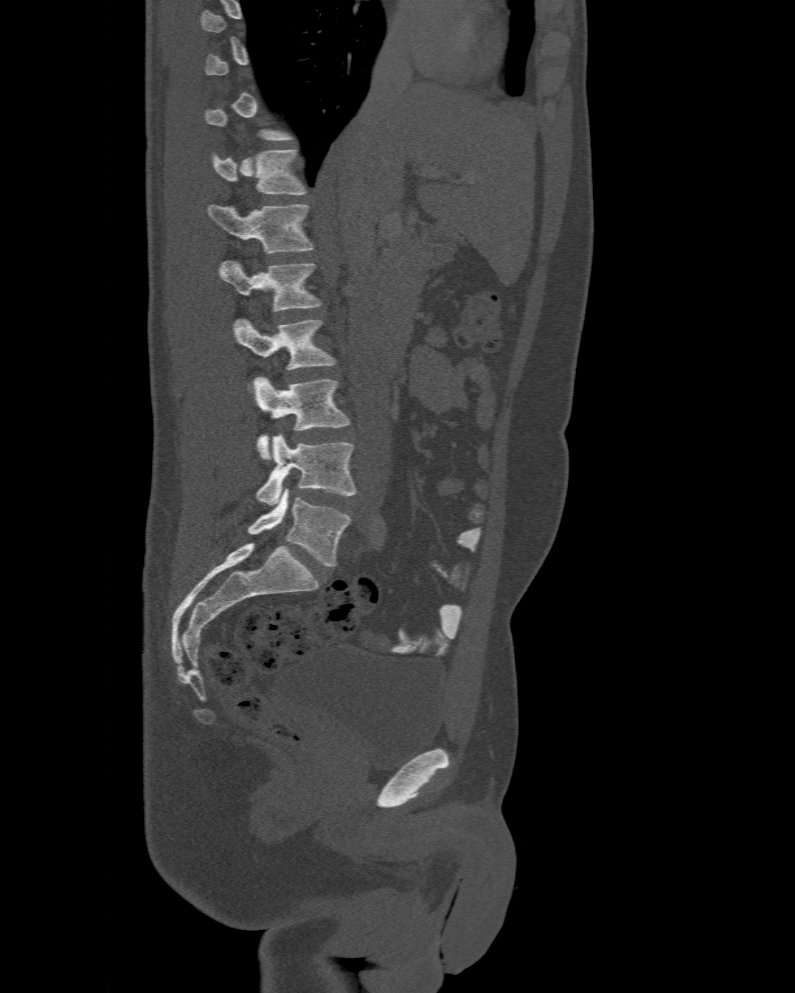 CT spine. sagittal view. bone-window reconstruction
Boxes: x1 y1 x2 y2 (pixel coords, space-separated). A vertebra is boxed only from the first to the last slice where its cross-section is at least a third of its largest; slices outside that range leave it without a box. In these labels the spine has an L6, a sixth lumbar vertebra below L5. The labeled vertebrae in this slice are: T12 at 211 149 305 194, L1 at 208 204 314 252, L2 at 219 261 320 311, L3 at 233 319 336 369, L4 at 253 377 350 459, L5 at 255 433 356 506, L6 at 247 488 350 566.